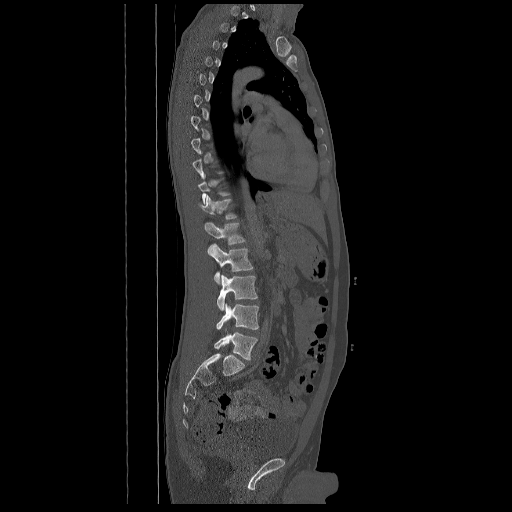 CT · sagittal view
Boxes below are [x1, y1, x2, y2] in pixels.
Each vertebra is boxed only on the slices from the first to the last where its cross-section reaches a third of its largest, so a slice outside that range leaves it unboxed.
{"vertebrae":{"L5":[214,332,257,359],"L4":[216,302,258,329],"L3":[217,275,257,310],"L2":[211,244,253,284],"L1":[205,222,245,254],"T12":[198,195,237,219]}}